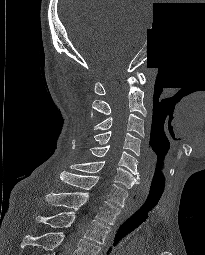

Spine CT; sagittal view; 205 mm wide; Bone window (WL 400, WW 1800); 205x255 px; a region of this slice is masked with a uniform fill
Box edges are left/top/right/bottom in pixels.
The highest labeled vertebra in this scan is C1; the lowest is T2.
| vertebra | x1 | y1 | x2 | y2 |
|---|---|---|---|---|
| C1 | 94 | 72 | 145 | 94 |
| C2 | 90 | 76 | 146 | 117 |
| C3 | 94 | 113 | 144 | 137 |
| C4 | 93 | 131 | 140 | 155 |
| C5 | 90 | 145 | 139 | 178 |
| C6 | 70 | 161 | 138 | 188 |
| C7 | 60 | 171 | 127 | 206 |
| T1 | 45 | 192 | 120 | 224 |
| T2 | 35 | 212 | 109 | 243 |